Spine CT; sagittal reformat; Bone window (WL 400, WW 1800)
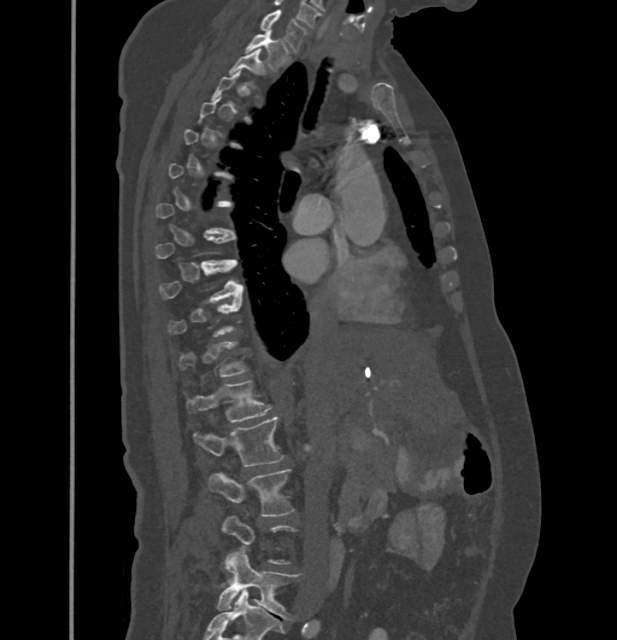 Coordinates as <box>x1,y1,x2,y2</box>. Each vertebra is boxed only on the slices from the first to the last where its cross-section reaches a third of its largest, so a slice outside that range leaves it unboxed. 8 vertebrae labeled — C7 at <box>262,10,306,51</box>; T1 at <box>246,30,288,69</box>; T2 at <box>230,49,263,74</box>; T9 at <box>160,260,241,301</box>; L1 at <box>187,380,270,422</box>; L2 at <box>194,416,283,466</box>; L3 at <box>209,469,294,516</box>; L5 at <box>217,549,299,619</box>.